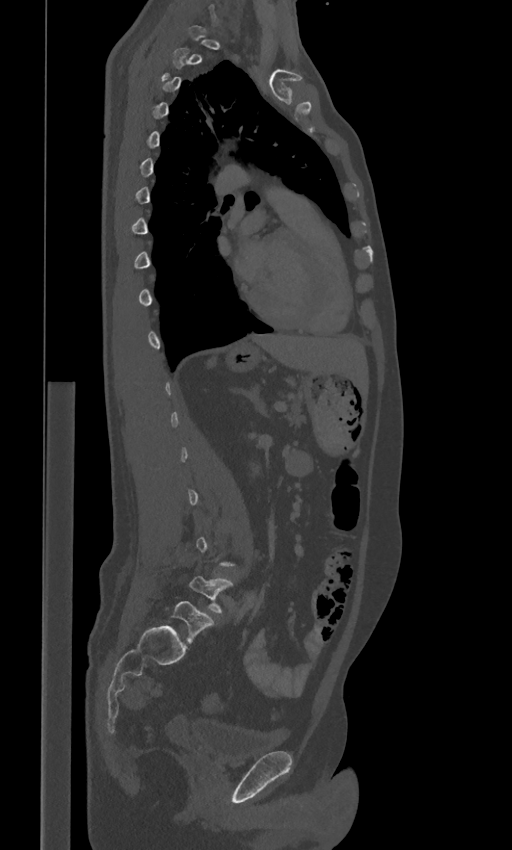

Spine CT. sagittal view. 512x850 px
A vertebra is boxed only from the first to the last slice where its cross-section is at least a third of its largest; slices outside that range leave it without a box.
These labels give the spine a sixth lumbar vertebra, L6, below L5.
<vertebrae><v name="L6" x1="165" y1="601" x2="214" y2="643"/><v name="L5" x1="189" y1="576" x2="234" y2="613"/></vertebrae>